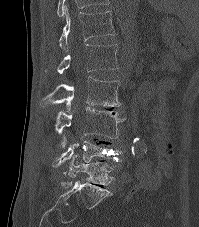
Spine computed tomography; sagittal view; bone-window reconstruction. Columns x1, y1, x2, y2 give each box's top-left and bottom-right pixels.
| vertebra | x1 | y1 | x2 | y2 |
|---|---|---|---|---|
| T12 | 58 | 9 | 115 | 51 |
| L1 | 57 | 44 | 118 | 74 |
| L2 | 40 | 77 | 120 | 110 |
| L3 | 55 | 107 | 126 | 148 |
| L4 | 52 | 137 | 122 | 167 |
| L5 | 61 | 155 | 113 | 188 |